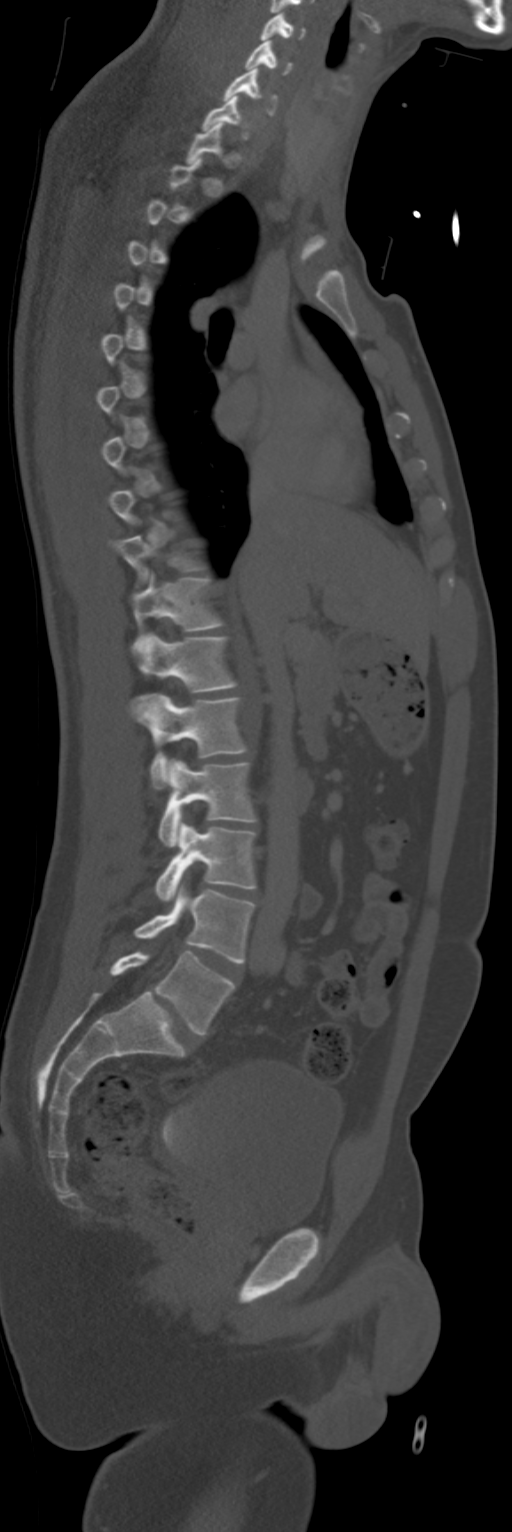 Spine CT — sagittal reformat — image 268 mm wide — Bone window (WL 400, WW 1800)
Box edges are left/top/right/bottom in pixels. Each vertebra is boxed only on the slices from the first to the last where its cross-section reaches a third of its largest, so a slice outside that range leaves it unboxed. 13 vertebrae labeled — C4 at left=260, top=13, right=305, bottom=40; C5 at left=245, top=40, right=292, bottom=74; C6 at left=223, top=67, right=276, bottom=114; C7 at left=202, top=96, right=248, bottom=139; T1 at left=186, top=122, right=223, bottom=164; T10 at left=111, top=535, right=200, bottom=587; T11 at left=132, top=571, right=223, bottom=653; T12 at left=138, top=633, right=236, bottom=691; L1 at left=128, top=694, right=246, bottom=788; L2 at left=159, top=759, right=255, bottom=846; L3 at left=155, top=822, right=255, bottom=901; L4 at left=134, top=886, right=254, bottom=962; L5 at left=111, top=951, right=234, bottom=1035.